Spine computed tomography; Sagittal slice 285/512; W/L 1800/400 HU; 512x845 px
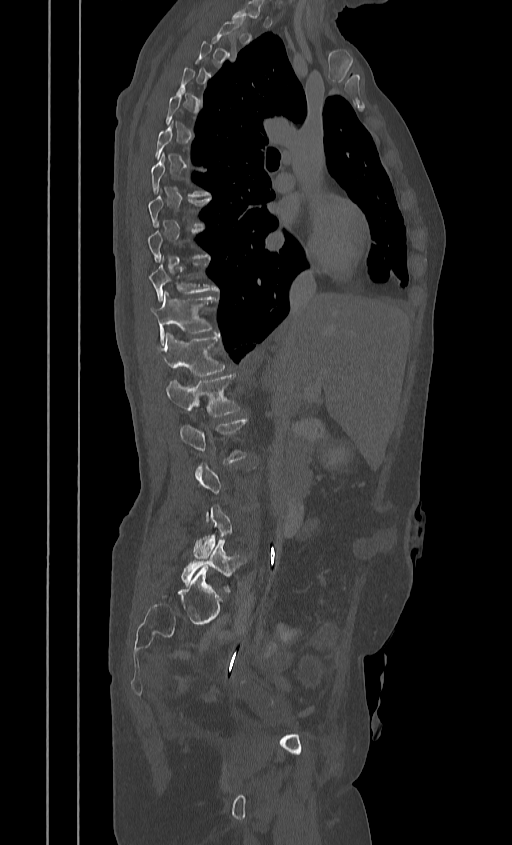
Not every vertebra on this slice has a box: a vertebra is boxed only from the first to the last slice where its cross-section is at least a third of its largest, and this slice is outside that range for at least one of them.
<vertebrae><v name="T10" x1="148" y1="264" x2="217" y2="300"/><v name="T11" x1="150" y1="292" x2="217" y2="343"/><v name="T12" x1="156" y1="333" x2="225" y2="376"/><v name="L1" x1="165" y1="375" x2="240" y2="416"/><v name="L2" x1="178" y1="419" x2="248" y2="462"/><v name="L5" x1="181" y1="539" x2="245" y2="591"/></vertebrae>